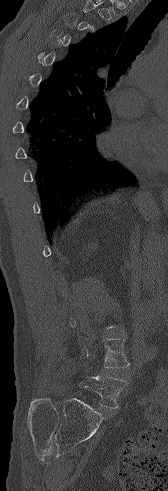 Spine computed tomography · sagittal view · Bone window (WL 400, WW 1800) · 168x491 px

A vertebra is boxed only from the first to the last slice where its cross-section is at least a third of its largest; slices outside that range leave it without a box.
<vertebrae><v name="L5" x1="79" y1="376" x2="127" y2="408"/><v name="L4" x1="80" y1="339" x2="129" y2="368"/></vertebrae>